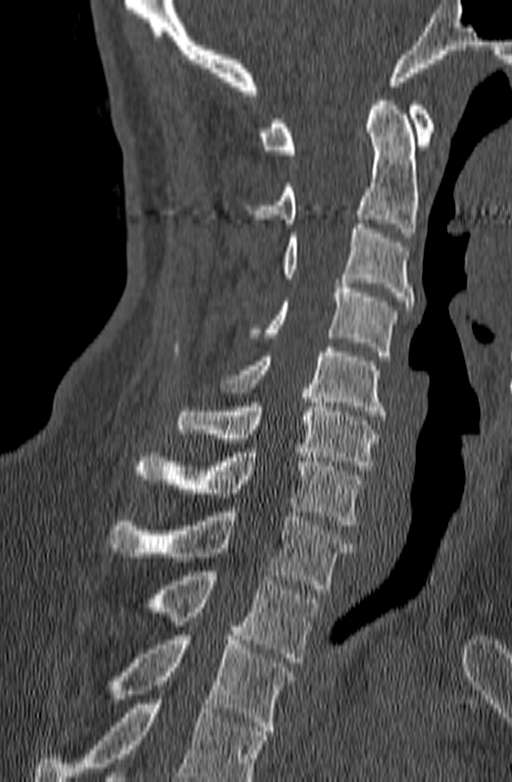

Spine computed tomography — sagittal reformat
Box edges are left/top/right/bottom in pixels. Vertebrae that run past the bottom of the scan are left unlabeled. Vertebrae labeled: C1 at left=259, top=101, right=434, bottom=154, C2 at left=243, top=96, right=419, bottom=237, C3 at left=283, top=224, right=413, bottom=310, C4 at left=248, top=283, right=397, bottom=356, C5 at left=222, top=347, right=386, bottom=420, C6 at left=177, top=393, right=377, bottom=470, C7 at left=133, top=448, right=362, bottom=525, T1 at left=107, top=507, right=353, bottom=589, T2 at left=98, top=571, right=320, bottom=662, T3 at left=111, top=635, right=294, bottom=735.